Computed tomography of the spine · sagittal plane, index 287 · W/L 1800/400 HU · image 336 mm wide
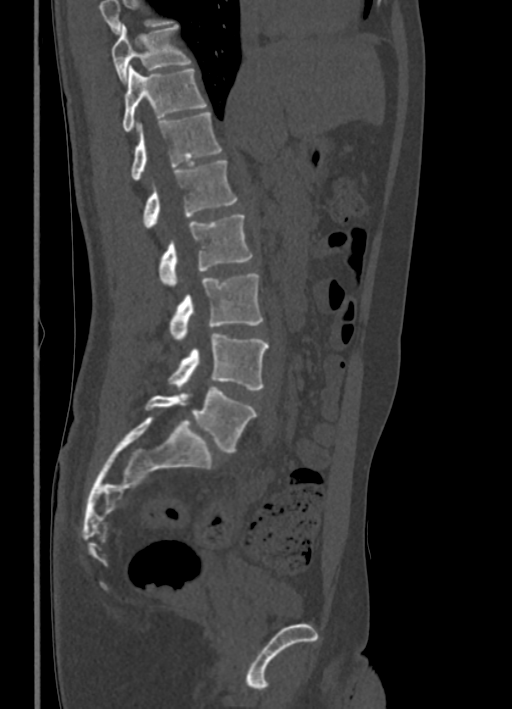

Boxes below are [x1, y1, x2, y2] in pixels.
A vertebra cut off by the top edge of the scan is not labeled and has no box.
{"vertebrae":{"T10":[111,24,191,83],"T11":[123,66,206,132],"T12":[131,112,221,181],"L1":[143,160,237,227],"L2":[158,215,252,286],"L3":[169,273,262,340],"L4":[167,334,269,389],"L5":[145,387,256,451]}}